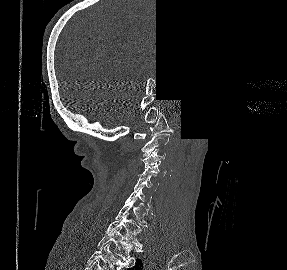 Spine CT; sagittal view; 287x270 px; a portion of the image is blanked out (constant pixel value). Boxes are (x1, y1, x2, y2) in pixels.
Vertebra bounding boxes:
- T2: (97, 227, 143, 265)
- T1: (105, 213, 142, 248)
- C7: (115, 197, 147, 227)
- C6: (124, 186, 152, 214)
- C5: (134, 175, 159, 191)
- C4: (138, 161, 167, 178)
- C3: (140, 149, 165, 167)
- C2: (141, 134, 169, 156)
- C1: (132, 111, 173, 138)